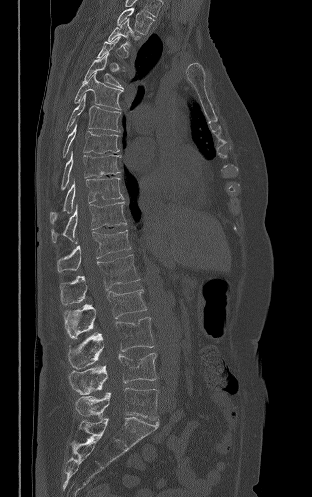
Computed tomography of the spine; sagittal view; 312x497 px
A vertebra is boxed only from the first to the last slice where its cross-section is at least a third of its largest; slices outside that range leave it without a box.
<vertebrae><v name="T2" x1="117" y1="7" x2="154" y2="34"/><v name="T3" x1="108" y1="19" x2="140" y2="47"/><v name="T5" x1="83" y1="53" x2="123" y2="88"/><v name="T6" x1="74" y1="72" x2="122" y2="109"/><v name="T7" x1="66" y1="94" x2="120" y2="131"/><v name="T8" x1="63" y1="123" x2="119" y2="157"/><v name="T9" x1="61" y1="151" x2="120" y2="190"/><v name="T10" x1="50" y1="177" x2="123" y2="223"/><v name="T11" x1="51" y1="201" x2="126" y2="242"/><v name="T12" x1="57" y1="230" x2="131" y2="272"/><v name="L1" x1="60" y1="255" x2="139" y2="305"/><v name="L2" x1="64" y1="289" x2="146" y2="338"/><v name="L3" x1="67" y1="317" x2="154" y2="368"/><v name="L4" x1="69" y1="353" x2="156" y2="394"/><v name="L5" x1="75" y1="387" x2="158" y2="420"/></vertebrae>